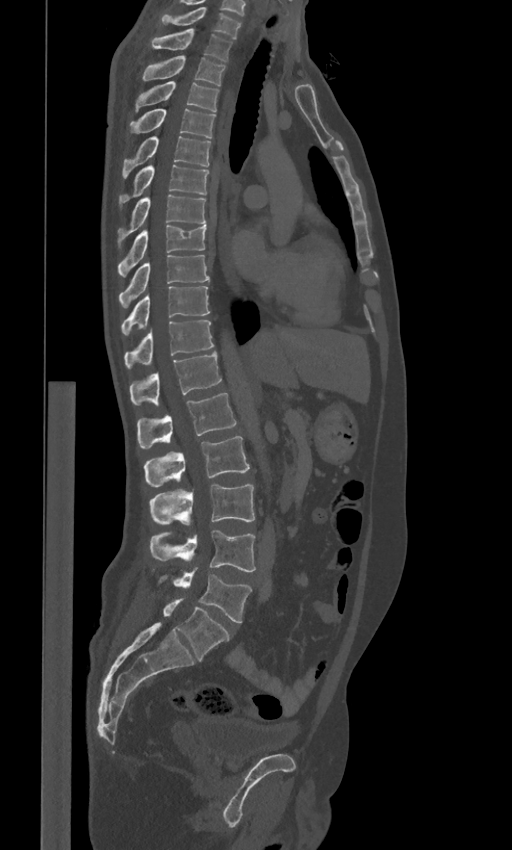

Spine computed tomography · image width 443 mm · sagittal view · bone-window reconstruction
Boxes: x1 y1 x2 y2 (pixel coords, space-separated).
The labels name a sixth lumbar vertebra for this spine: L6, after L5.
C7: 158 7 240 39
T1: 151 28 231 60
T2: 142 56 225 85
T3: 135 81 219 111
T4: 129 108 215 138
T5: 122 135 210 179
T6: 119 164 208 208
T7: 118 195 206 248
T8: 118 225 206 277
T9: 119 255 209 307
T10: 121 286 209 335
T11: 124 320 214 368
T12: 129 351 222 405
L1: 137 392 236 447
L2: 143 436 249 489
L3: 150 485 254 525
L4: 150 529 255 571
L5: 159 569 251 622
L6: 163 598 229 660